CT — sagittal reformat — Bone window (WL 400, WW 1800) — image width 392 mm — 8 vertebrae labeled in this scan
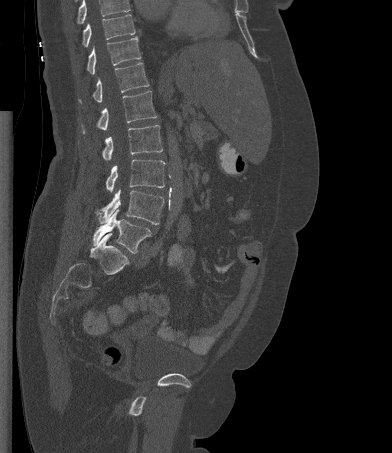

Boxes are (x1, y1, x2, y2) in pixels.
Vertebrae that run past the top of the scan are left unlabeled.
Vertebra bounding boxes:
- T10: (82, 14, 135, 46)
- T11: (87, 37, 141, 74)
- T12: (78, 62, 149, 103)
- L1: (81, 90, 156, 133)
- L2: (102, 125, 162, 160)
- L3: (106, 159, 165, 192)
- L4: (96, 189, 164, 224)
- L5: (93, 209, 151, 253)